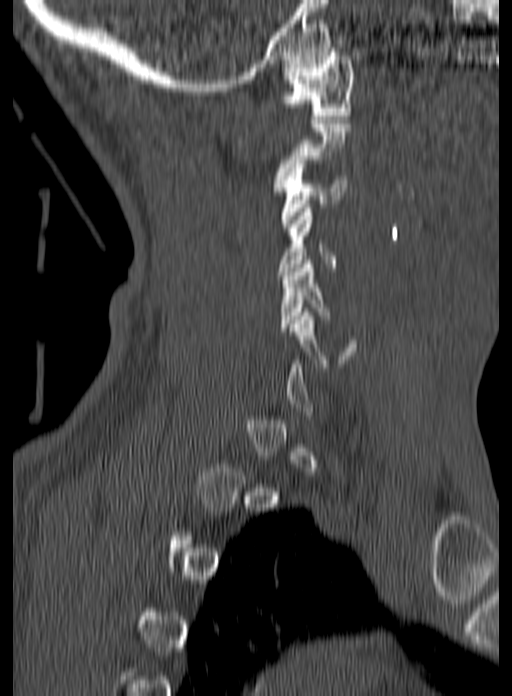 CT, spine — sagittal reformat — 512x696 px — 160 mm wide

Box edges are left/top/right/bottom in pixels.
A vertebra gets a box only on the slices from the first to the last where its cross-section is at least a third of its largest; on a slice outside that range it gets none.
C1: left=281, top=48, right=352, bottom=119
C3: left=280, top=160, right=346, bottom=227
C4: left=278, top=208, right=336, bottom=275
C5: left=280, top=260, right=330, bottom=331